CT · Sagittal slice 283/512 · 461 mm image width · W/L 1800/400 HU · 17 vertebrae labeled in this scan
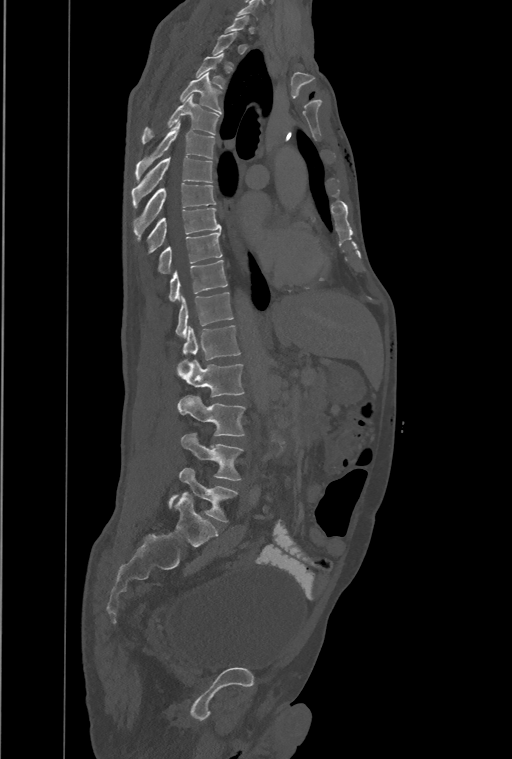
Boxes: x1 y1 x2 y2 (pixel coords, space-separated).
Not every vertebra on this slice has a box: a vertebra is boxed only from the first to the last slice where its cross-section is at least a third of its largest, and this slice is outside that range for at least one of them.
In this scan, the topmost labeled vertebra is T1 and the lowest is L4.
The labels name an extra thoracic vertebra here, T13, which comes after T12 and before L1.
Vertebra bounding boxes:
- T3: 195 54 224 88
- T4: 179 72 221 113
- T5: 142 95 219 144
- T6: 135 121 214 181
- T7: 132 156 212 207
- T8: 134 184 215 238
- T9: 148 208 221 251
- T10: 158 231 222 273
- T11: 170 260 227 301
- T12: 176 292 233 337
- T13: 183 326 239 359
- L1: 178 360 244 397
- L2: 177 396 245 436
- L3: 181 434 242 480
- L4: 168 468 236 521